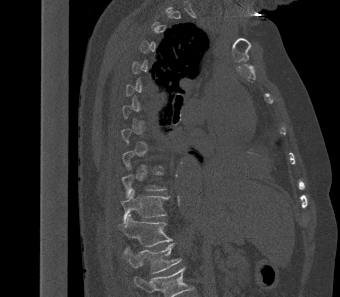 Computed tomography of the spine — sagittal view — 340x297 px — the image spans 340 mm across
Box values are [left, top, right, bottom] in pixels.
Each vertebra is boxed only on the slices from the first to the last where its cross-section reaches a third of its largest, so a slice outside that range leaves it unboxed.
Labels in this scan begin with T2 at the top and end with L1 at the bottom.
{"vertebrae":{"T11":[121,188,168,226],"T12":[120,214,172,246],"L1":[123,243,181,273]}}